Spine computed tomography. sagittal reformat. Bone window (WL 400, WW 1800). image 162 mm wide
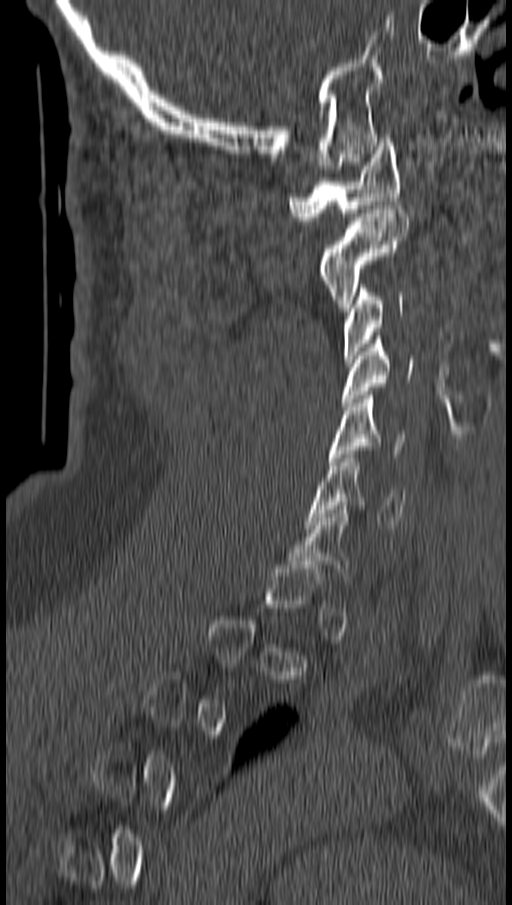 Coordinates as <box>x1,y1,x2,y2</box>.
A vertebra is boxed only from the first to the last slice where its cross-section is at least a third of its largest; slices outside that range leave it without a box.
C1: <box>289,138,401,220</box>
C2: <box>320,209,408,311</box>
C3: <box>342,284,405,362</box>
C4: <box>342,336,414,406</box>
C5: <box>330,391,406,461</box>
C6: <box>308,454,406,528</box>